Spine computed tomography · sagittal plane, index 54 · image width 183 mm · bone-window reconstruction
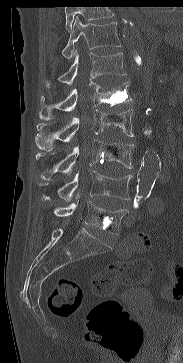

Box values are [left, top, right, bottom] in pixels.
Vertebrae that run past the top of the scan are left unlabeled.
{"vertebrae":{"L5":[54,201,127,234],"L4":[38,170,132,201],"L3":[36,139,133,179],"L2":[36,109,133,152],"L1":[39,81,131,120],"T12":[45,50,126,87],"T11":[61,16,121,58]}}